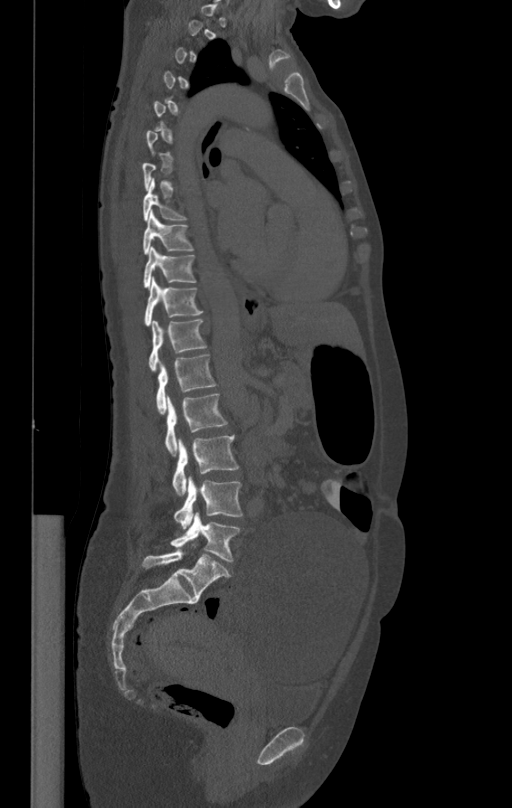

Computed tomography of the spine. the image is 412 mm wide. sagittal view
Coordinates as <box>x1,y1,x2,y2</box>.
A vertebra is boxed only from the first to the last slice where its cross-section is at least a third of its largest; slices outside that range leave it without a box.
Vertebra bounding boxes:
- T8: <box>143,182,187,220</box>
- T9: <box>143,211,193,253</box>
- T10: <box>143,248,195,288</box>
- T11: <box>144,277,203,326</box>
- T12: <box>149,319,206,370</box>
- L1: <box>156,353,216,413</box>
- L2: <box>165,394,228,455</box>
- L3: <box>173,435,239,494</box>
- L4: <box>174,475,242,529</box>
- L5: <box>170,512,240,562</box>